Spine computed tomography · Sagittal slice 83/164
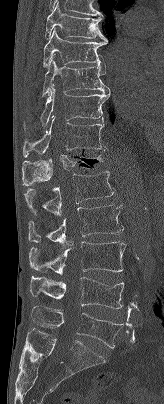
Box edges are left/top/right/bottom in pixels.
Vertebra bounding boxes:
- T7: left=45, top=2, right=107, bottom=41
- T8: left=43, top=28, right=107, bottom=67
- T9: left=42, top=55, right=109, bottom=97
- T10: left=24, top=84, right=110, bottom=128
- T11: left=23, top=116, right=106, bottom=157
- T12: left=22, top=148, right=106, bottom=185
- L1: left=24, top=171, right=114, bottom=215
- L2: left=28, top=204, right=123, bottom=246
- L3: left=29, top=241, right=125, bottom=274
- L4: left=30, top=276, right=123, bottom=309
- L5: left=31, top=306, right=123, bottom=348